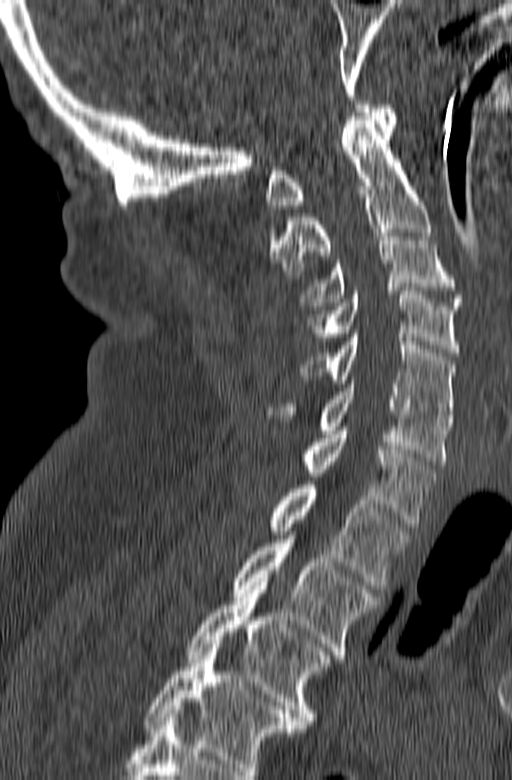
CT, spine — sagittal view — bone window — the image is 165 mm wide. Each box given as x1,y1,x2,y2. The highest labeled vertebra in this scan is C1; the lowest is T3. Vertebrae labeled: C1 at x1=266, y1=101, x2=397, y2=208, C2 at x1=269, y1=116, x2=431, y2=278, C3 at x1=302, y1=229, x2=463, y2=309, C4 at x1=304, y1=291, x2=460, y2=356, C5 at x1=301, y1=334, x2=453, y2=418, C6 at x1=265, y1=380, x2=452, y2=464, C7 at x1=305, y1=427, x2=435, y2=527, T1 at x1=267, y1=481, x2=410, y2=589, T2 at x1=234, y1=535, x2=379, y2=658, T3 at x1=186, y1=586, x2=332, y2=728.